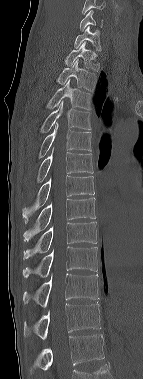
Spine computed tomography. sagittal view

Each box given as x1,y1,x2,y2.
This scan's labels start at C6 at the top and end at T12 at the bottom.
T12: x1=24, y1=302, x2=100, y2=339
T11: x1=23, y1=273, x2=98, y2=307
T10: x1=22, y1=246, x2=97, y2=277
T9: x1=22, y1=222, x2=96, y2=259
T8: x1=23, y1=197, x2=95, y2=241
T7: x1=22, y1=176, x2=94, y2=224
T6: x1=37, y1=148, x2=93, y2=182
T5: x1=39, y1=122, x2=91, y2=158
T4: x1=40, y1=100, x2=91, y2=132
T3: x1=47, y1=79, x2=91, y2=109
T2: x1=56, y1=59, x2=96, y2=91
T1: x1=64, y1=42, x2=99, y2=70
C7: x1=74, y1=26, x2=101, y2=50
C6: x1=79, y1=10, x2=102, y2=31